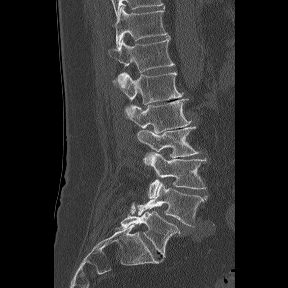
Spine CT · sagittal view · Bone window (WL 400, WW 1800)
Bounding boxes as [x1, y1, x2, y2] in pixel coordinates.
These labels give the spine a sixth lumbar vertebra, L6, below L5.
T11: [115, 6, 167, 49]
T12: [109, 35, 174, 76]
L1: [113, 72, 182, 110]
L2: [126, 98, 192, 133]
L3: [137, 126, 199, 157]
L4: [143, 152, 206, 198]
L5: [137, 181, 207, 226]
L6: [120, 211, 183, 257]